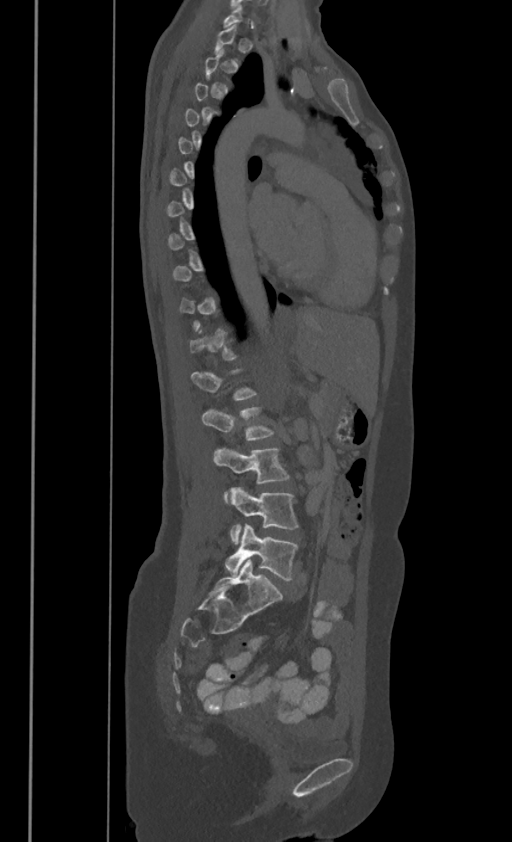

CT, spine · sagittal view · 512x842 px · image width 386 mm

Coordinates as <box>x1,y1,x2,y2</box>. Each vertebra is boxed only on the slices from the first to the last where its cross-section reaches a third of its largest, so a slice outside that range leaves it unboxed. Vertebrae labeled: L2 at <box>201,406,272,441</box>, L3 at <box>213,448,288,500</box>, L4 at <box>229,487,297,543</box>, L5 at <box>225,525,297,580</box>.